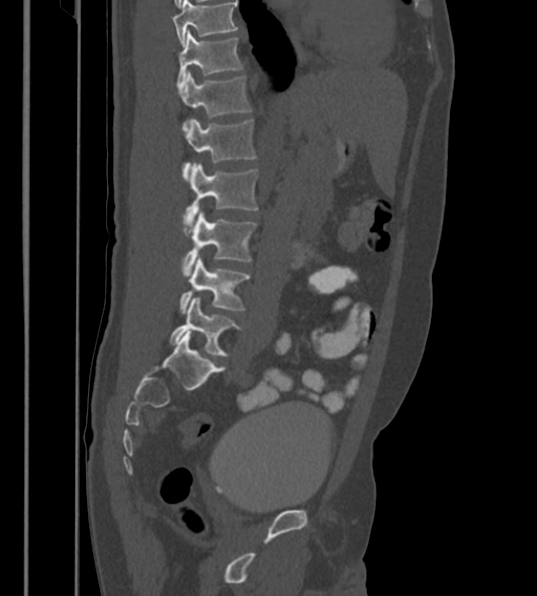

CT — sagittal view — bone window
Boxes below are [x1, y1, x2, y2] in pixels.
This scan's labels start at T12 at the top and end at L6 at the bottom.
In these labels the spine has an L6, a sixth lumbar vertebra below L5.
{"vertebrae":{"L6":[170,297,241,356],"L5":[180,256,250,313],"L4":[182,210,256,276],"L3":[184,162,258,225],"L2":[181,119,256,181],"L1":[182,72,252,131],"T12":[177,30,242,89]}}